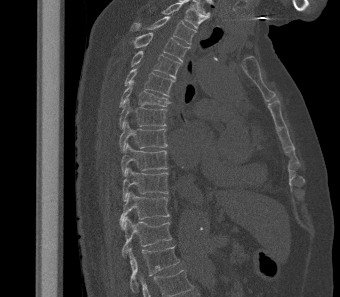 CT spine — sagittal view
In this scan, the topmost labeled vertebra is T2 and the lowest is L1.
<vertebrae><v name="T2" x1="131" y1="16" x2="196" y2="44"/><v name="T3" x1="132" y1="33" x2="190" y2="61"/><v name="T4" x1="131" y1="51" x2="181" y2="78"/><v name="T5" x1="124" y1="67" x2="175" y2="96"/><v name="T6" x1="119" y1="80" x2="171" y2="107"/><v name="T7" x1="119" y1="98" x2="167" y2="128"/><v name="T8" x1="119" y1="120" x2="167" y2="151"/><v name="T9" x1="121" y1="143" x2="168" y2="175"/><v name="T10" x1="122" y1="167" x2="168" y2="200"/><v name="T11" x1="120" y1="191" x2="170" y2="227"/><v name="T12" x1="122" y1="216" x2="172" y2="256"/><v name="L1" x1="128" y1="246" x2="179" y2="295"/></vertebrae>